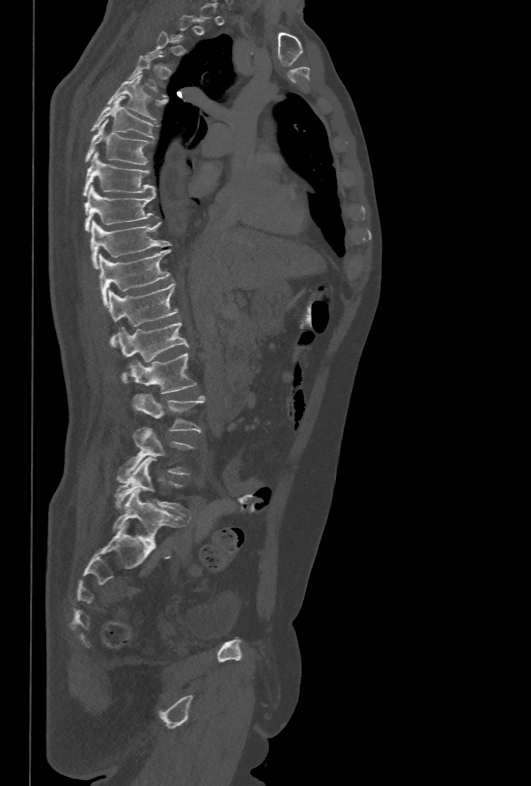
CT — sagittal view — bone-window reconstruction
Coordinates as <box>x1,y1,x2,y2</box>.
A vertebra is boxed only from the first to the last slice where its cross-section is at least a third of its largest; slices outside that range leave it without a box.
Vertebra bounding boxes:
- T5: <box>107,75,167,122</box>
- T6: <box>90,96,155,138</box>
- T7: <box>84,120,151,164</box>
- T8: <box>82,152,155,196</box>
- T9: <box>84,185,156,231</box>
- T10: <box>90,220,170,268</box>
- T11: <box>99,249,170,306</box>
- T12: <box>108,283,177,346</box>
- L1: <box>118,322,189,382</box>
- L2: <box>130,353,197,394</box>
- L3: <box>133,394,204,432</box>
- L4: <box>120,427,193,478</box>
- L5: <box>114,456,184,513</box>